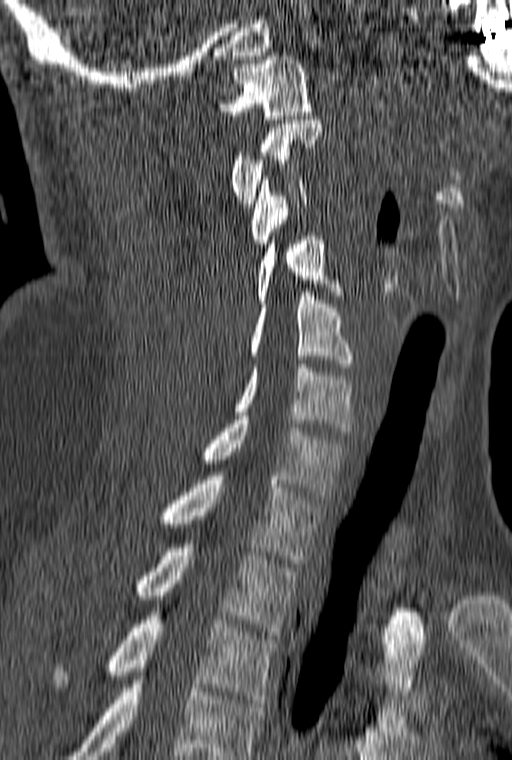
Computed tomography of the spine — 160 mm across the image — sagittal view

Each vertebra maps to its box as [x1, y1, x2, y2], the pixel coordinates of its top-left and bottom-right corners.
The highest labeled vertebra in this scan is C1; the lowest is T3.
{"vertebrae":{"C1":[218,56,311,119],"C2":[230,120,323,207],"C3":[251,176,308,247],"C4":[254,236,339,303],"C5":[251,288,352,367],"C6":[235,364,352,431],"C7":[203,416,349,499],"T1":[162,472,324,563],"T2":[136,544,298,635],"T3":[53,608,279,703]}}